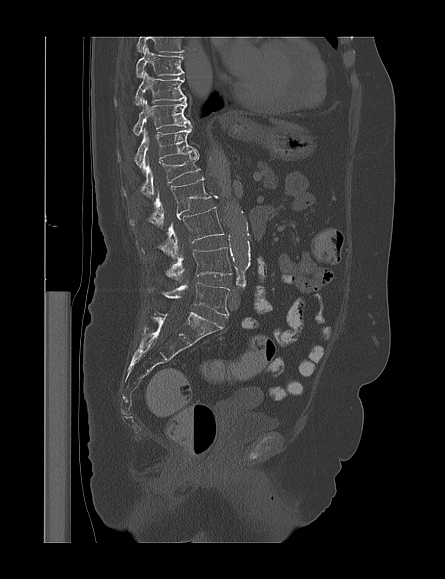

Computed tomography of the spine. sagittal view. 445x579 px
Columns x1, y1, x2, y2 give each box's top-left and bottom-right pixels.
Labels in this scan begin with T9 at the top and end with L5 at the bottom.
| vertebra | x1 | y1 | x2 | y2 |
|---|---|---|---|---|
| L5 | 161 | 282 | 229 | 316 |
| L4 | 165 | 247 | 231 | 281 |
| L3 | 136 | 207 | 223 | 259 |
| L2 | 130 | 177 | 210 | 226 |
| L1 | 122 | 154 | 200 | 196 |
| T12 | 117 | 128 | 198 | 170 |
| T11 | 117 | 99 | 190 | 135 |
| T10 | 114 | 71 | 186 | 105 |
| T9 | 136 | 47 | 183 | 77 |